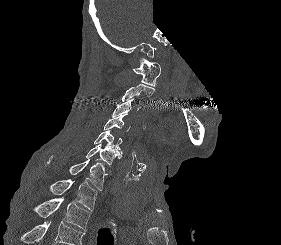 Computed tomography of the spine — sagittal view — part of the scan has been removed (filled with constant black)
Box values are [left, top, right, bottom] in pixels.
Vertebrae that run past the bottom of the scan are left unlabeled.
{"vertebrae":{"C1":[133,58,161,86],"C2":[122,84,155,101],"C3":[111,98,141,117],"C4":[104,113,130,131],"C5":[94,130,122,155],"C6":[86,143,121,166],"C7":[47,156,107,190],"T1":[50,179,97,210],"T2":[34,197,90,230]}}